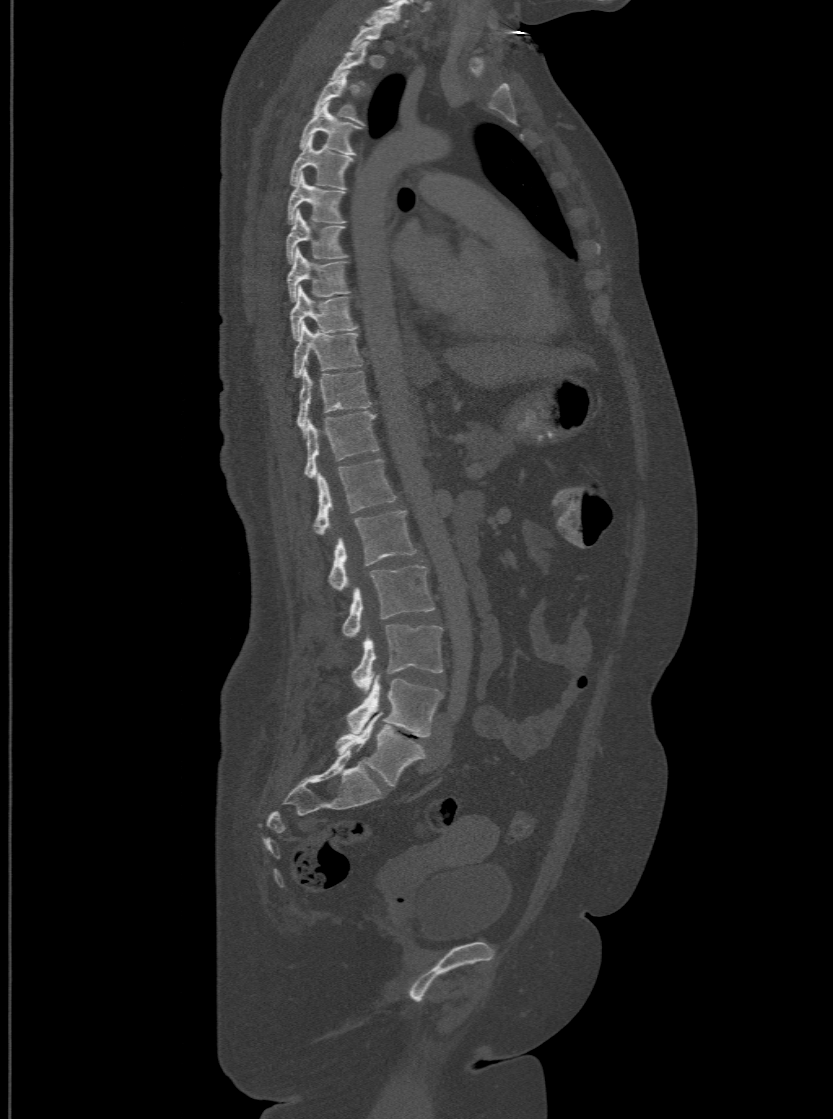

CT — the image is 500 mm wide — sagittal view. Columns x1, y1, x2, y2 give each box's top-left and bottom-right pixels.
Each vertebra is boxed only on the slices from the first to the last where its cross-section reaches a third of its largest, so a slice outside that range leaves it unboxed.
In these labels the spine has an L6, a sixth lumbar vertebra below L5.
| vertebra | x1 | y1 | x2 | y2 |
|---|---|---|---|---|
| T2 | 332 | 40 | 368 | 87 |
| T3 | 312 | 70 | 364 | 122 |
| T4 | 299 | 102 | 360 | 154 |
| T5 | 290 | 135 | 352 | 187 |
| T6 | 286 | 173 | 344 | 222 |
| T7 | 285 | 210 | 346 | 262 |
| T8 | 286 | 247 | 349 | 301 |
| T9 | 290 | 285 | 357 | 337 |
| T10 | 293 | 323 | 362 | 376 |
| T11 | 296 | 368 | 370 | 432 |
| T12 | 303 | 410 | 378 | 476 |
| L1 | 312 | 458 | 396 | 534 |
| L2 | 329 | 510 | 416 | 590 |
| L3 | 342 | 566 | 434 | 637 |
| L4 | 352 | 624 | 442 | 690 |
| L5 | 347 | 676 | 442 | 737 |
| L6 | 337 | 711 | 424 | 787 |